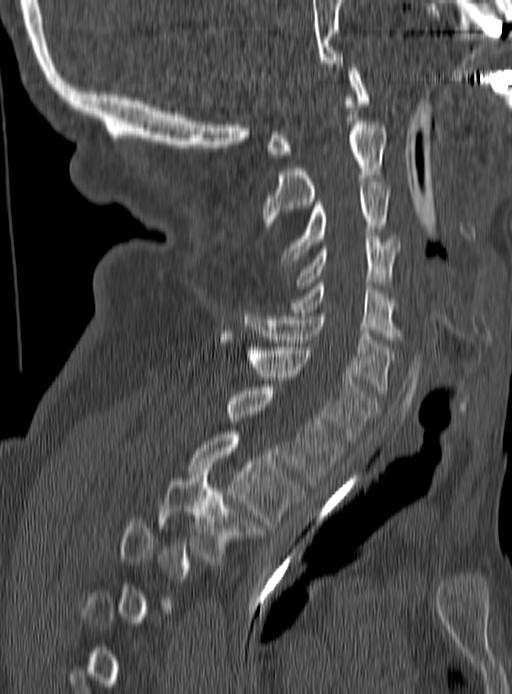 CT spine · sagittal view · 512x694 px
Box values are [left, top, right, bottom] in pixels.
A vertebra is boxed only from the first to the last slice where its cross-section is at least a third of its largest; slices outside that range leave it without a box.
{"vertebrae":{"C1":[265,64,369,157],"C2":[262,121,388,225],"C3":[280,182,389,265],"C4":[297,236,399,289],"C5":[292,283,399,339],"C6":[243,310,394,393],"C7":[219,333,377,440],"T1":[225,384,342,484],"T2":[189,431,304,528],"T3":[157,468,261,565]}}